Spine CT; sagittal reformat; 500 mm across the image; scan covers 23 annotated vertebrae; part of the image has been replaced by a constant value
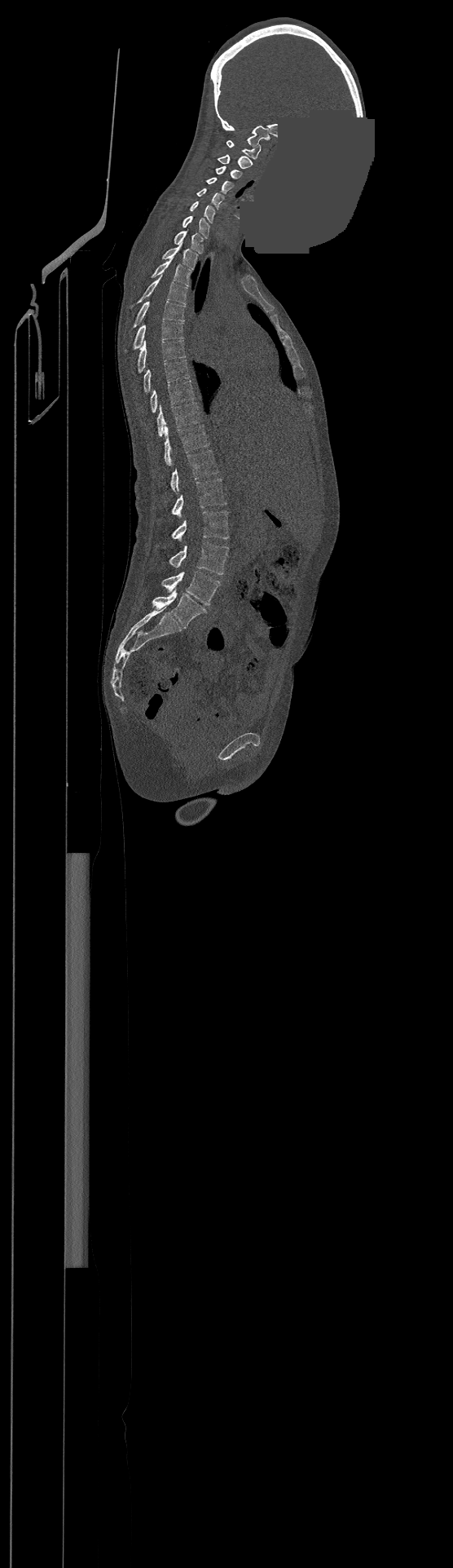
Each box is [x1, y1, x2, y2] in pixels: top-left corner, then bottom-right corner.
Labels in this scan begin with C1 at the top and end with L4 at the bottom.
{"vertebrae":{"C1":[226,140,261,158],"C2":[218,155,252,168],"C3":[216,166,242,179],"C4":[206,177,232,194],"C5":[196,188,224,209],"C6":[190,201,215,223],"C7":[183,216,209,238],"T1":[174,231,203,253],"T2":[162,242,197,269],"T3":[152,258,190,285],"T4":[138,275,187,304],"T5":[134,301,185,327],"T6":[134,320,183,349],"T7":[138,340,186,372],"T8":[144,360,189,392],"T9":[150,380,195,412],"T10":[156,402,200,436],"T11":[164,425,209,466],"T12":[169,450,218,492],"L1":[173,478,226,517],"L2":[173,510,228,541],"L3":[169,542,228,574],"L4":[161,572,220,605]}}